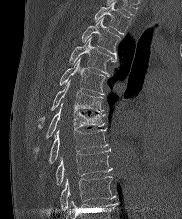
CT; the image is 182 mm wide; sagittal view; bone-window reconstruction; 182x219 px
This scan's labels start at T2 at the top and end at T10 at the bottom.
<vertebrae><v name="T2" x1="94" y1="1" x2="130" y2="34"/><v name="T3" x1="81" y1="18" x2="120" y2="57"/><v name="T4" x1="70" y1="37" x2="116" y2="75"/><v name="T5" x1="60" y1="57" x2="106" y2="95"/><v name="T6" x1="38" y1="80" x2="103" y2="128"/><v name="T7" x1="36" y1="102" x2="105" y2="150"/><v name="T8" x1="49" y1="129" x2="107" y2="163"/><v name="T9" x1="55" y1="149" x2="112" y2="184"/><v name="T10" x1="60" y1="176" x2="115" y2="208"/></vertebrae>